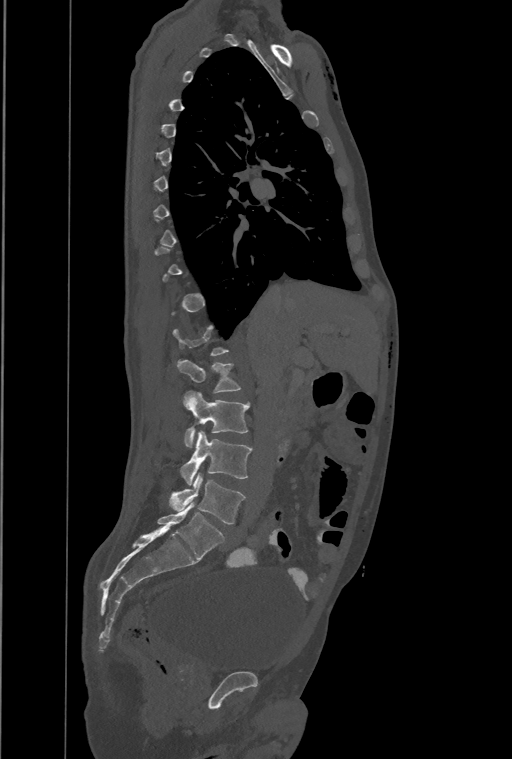

CT spine — sagittal view. Boxes are (x1, y1, x2, y2) in pixels. Not every vertebra on this slice has a box: a vertebra is boxed only from the first to the last slice where its cross-section is at least a third of its largest, and this slice is outside that range for at least one of them. Labels in this scan begin with T1 at the top and end with L4 at the bottom. Vertebrae labeled: L1 at (177, 359, 241, 393), L2 at (184, 390, 249, 447), L3 at (181, 431, 252, 485), L4 at (170, 472, 245, 524).